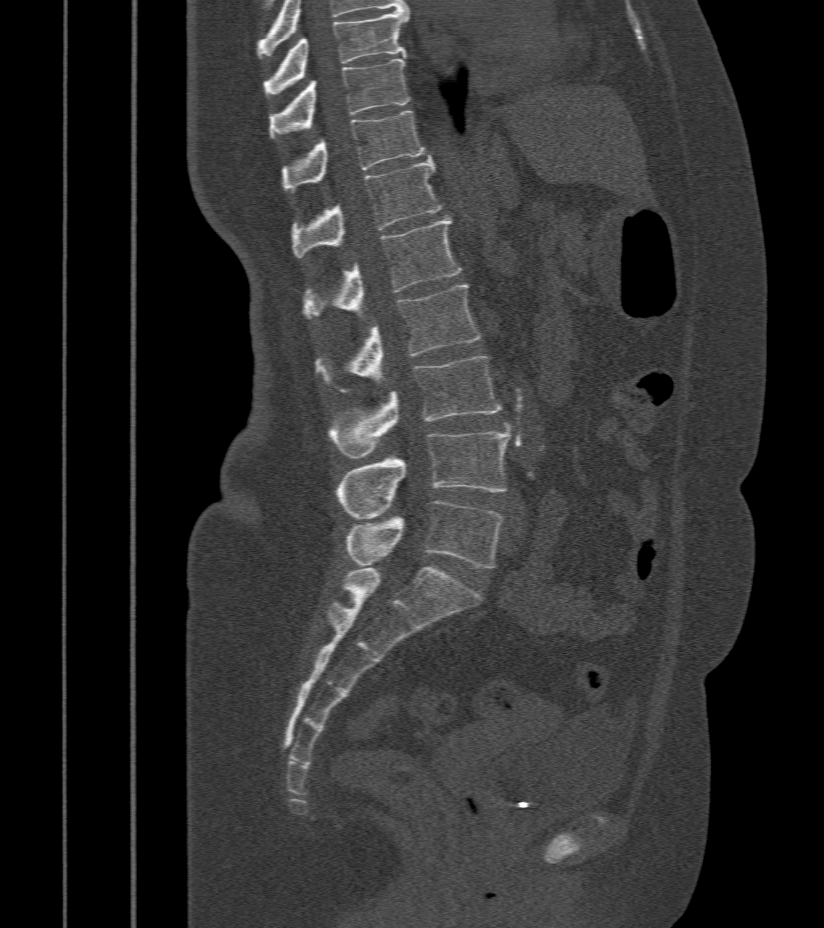 Spine computed tomography. sagittal view. bone-window reconstruction. the image is 412 mm wide. Each box given as x1,y1,x2,y2.
Vertebra bounding boxes:
- T9: x1=264, y1=11, x2=409, y2=98
- T10: x1=270, y1=59, x2=409, y2=138
- T11: x1=282, y1=111, x2=425, y2=190
- T12: x1=291, y1=159, x2=442, y2=258
- L1: x1=303, y1=217, x2=461, y2=320
- L2: x1=315, y1=285, x2=480, y2=392
- L3: x1=328, y1=357, x2=501, y2=458
- L4: x1=336, y1=431, x2=511, y2=518
- L5: x1=346, y1=501, x2=503, y2=568